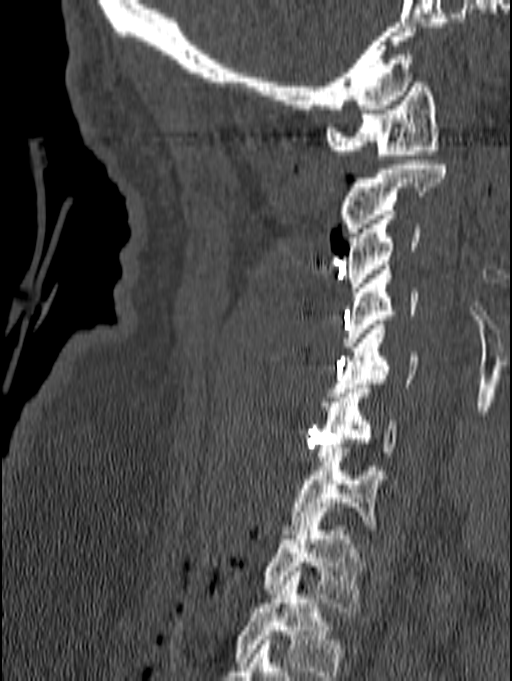 CT — sagittal reformat — 512x681 px
Each vertebra maps to its box as [x1, y1, x2, y2], the pixel coordinates of its top-left and bottom-right corners.
The highest labeled vertebra in this scan is C1; the lowest is T1.
{"vertebrae":{"C1":[325,78,439,159],"C2":[338,160,446,237],"C3":[343,210,419,292],"C4":[341,265,417,346],"C5":[329,325,418,397],"C6":[316,384,395,461],"C7":[283,448,388,534],"T1":[261,517,364,612]}}